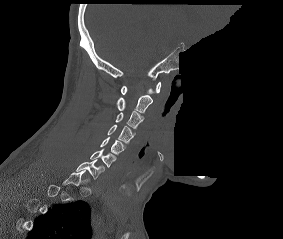

CT · sagittal view · the image spans 283 mm across · 283x239 px · an area of the scan was removed and filled with constant pixels

Each vertebra is boxed only on the slices from the first to the last where its cross-section reaches a third of its largest, so a slice outside that range leaves it unboxed.
<vertebrae><v name="C1" x1="121" y1="81" x2="161" y2="94"/><v name="C2" x1="117" y1="95" x2="152" y2="113"/><v name="C3" x1="115" y1="111" x2="144" y2="129"/><v name="C4" x1="107" y1="124" x2="135" y2="143"/><v name="C5" x1="100" y1="136" x2="124" y2="154"/><v name="C6" x1="90" y1="149" x2="116" y2="167"/><v name="C7" x1="76" y1="159" x2="104" y2="179"/></vertebrae>